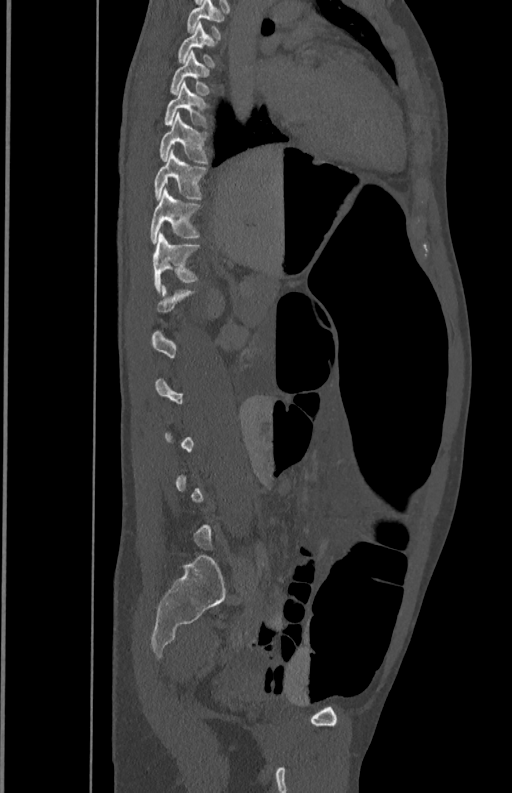

CT, spine — sagittal view. Boxes are (x1, y1, x2, y2) in pixels. A vertebra gets a box only on the slices from the first to the last where its cross-section is at least a third of its largest; on a slice outside that range it gets none. 8 vertebrae labeled — T5 at (186, 1, 223, 38); T6 at (177, 22, 215, 66); T7 at (169, 51, 211, 94); T8 at (164, 82, 209, 128); T9 at (159, 112, 209, 162); T10 at (153, 150, 208, 199); T11 at (149, 188, 202, 243); T12 at (153, 232, 201, 290).